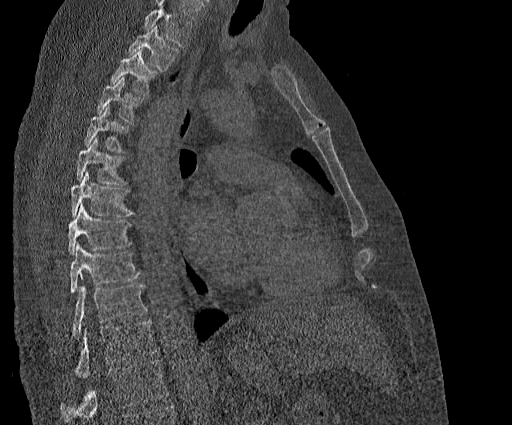 CT spine — sagittal view — bone window
No box is given to a vertebra that the top edge of the scan cuts off.
Labels in this scan begin with T2 at the top and end with T11 at the bottom.
<vertebrae><v name="T2" x1="129" y1="25" x2="177" y2="70"/><v name="T3" x1="110" y1="49" x2="156" y2="95"/><v name="T4" x1="97" y1="76" x2="142" y2="122"/><v name="T5" x1="84" y1="105" x2="128" y2="152"/><v name="T6" x1="76" y1="139" x2="125" y2="184"/><v name="T7" x1="70" y1="171" x2="134" y2="216"/><v name="T8" x1="68" y1="204" x2="131" y2="254"/><v name="T9" x1="69" y1="243" x2="140" y2="292"/><v name="T10" x1="73" y1="284" x2="147" y2="336"/><v name="T11" x1="76" y1="320" x2="156" y2="378"/></vertebrae>